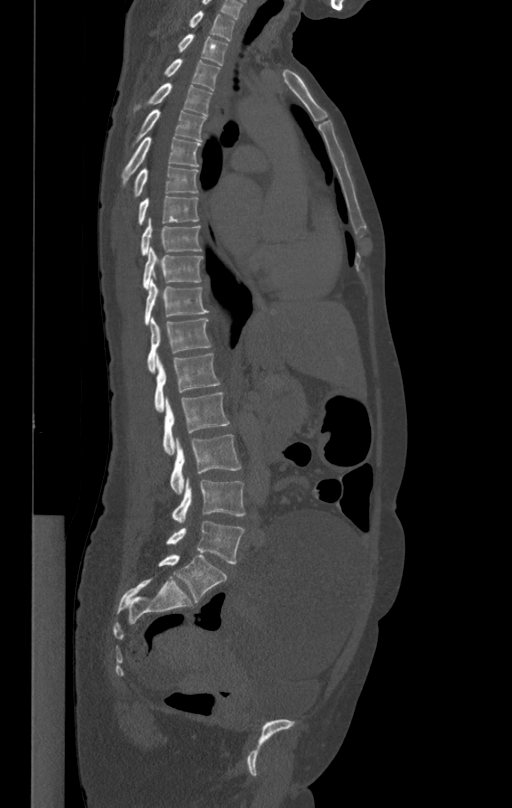 Computed tomography of the spine; sagittal reformat; Bone window (WL 400, WW 1800); 512x808 px

Box edges are left/top/right/bottom in pixels.
L5: left=166, top=520, right=244, bottom=563
L4: left=171, top=479, right=245, bottom=522
L3: left=170, top=435, right=241, bottom=493
L2: left=163, top=393, right=229, bottom=455
L1: left=154, top=352, right=220, bottom=412
T12: left=147, top=318, right=210, bottom=371
T11: left=145, top=278, right=208, bottom=322
T10: left=143, top=247, right=203, bottom=289
T9: left=140, top=218, right=201, bottom=254
T8: left=138, top=196, right=199, bottom=225
T7: left=134, top=167, right=198, bottom=196
T6: left=122, top=136, right=200, bottom=185
T5: left=133, top=110, right=205, bottom=144
T4: left=133, top=83, right=211, bottom=115
T3: left=164, top=58, right=220, bottom=90
T2: left=178, top=34, right=228, bottom=65
T1: left=189, top=11, right=235, bottom=39